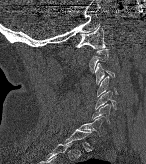 CT spine · sagittal view · W/L 1800/400 HU · image width 146 mm

Boxes: x1:y1:x2:y2 in pixels.
Each vertebra is boxed only on the slices from the first to the last where its cross-section reaches a third of its largest, so a slice outside that range leaves it unboxed.
Vertebra bounding boxes:
- C1: 76:26:105:49
- C3: 95:63:114:83
- C4: 97:76:117:96
- C5: 95:91:116:109
- C6: 92:104:112:123
- C7: 79:117:102:136